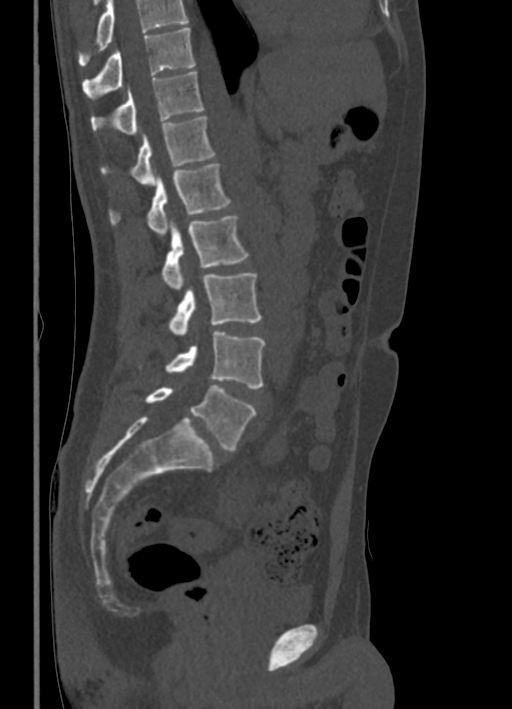 CT spine — the image is 336 mm wide — sagittal view

No box is given to a vertebra that the top edge of the scan cuts off.
<vertebrae><v name="L5" x1="145" y1="385" x2="256" y2="450"/><v name="L4" x1="138" y1="331" x2="266" y2="388"/><v name="L3" x1="167" y1="273" x2="261" y2="334"/><v name="L2" x1="161" y1="215" x2="249" y2="288"/><v name="L1" x1="109" y1="163" x2="230" y2="237"/><v name="T12" x1="100" y1="116" x2="215" y2="184"/><v name="T11" x1="91" y1="72" x2="205" y2="134"/><v name="T10" x1="82" y1="27" x2="195" y2="99"/></vertebrae>